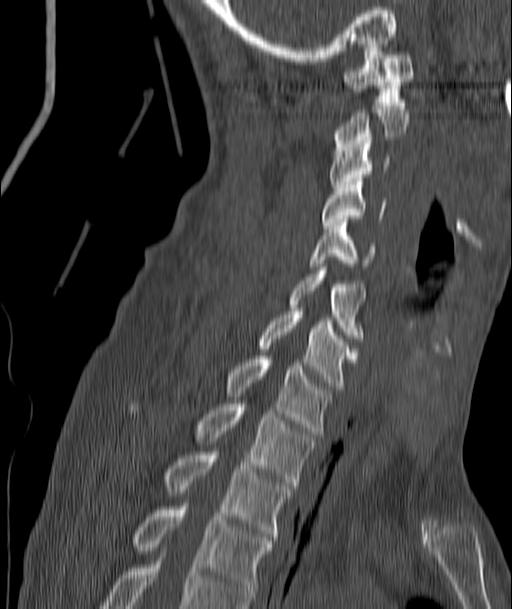
CT; sagittal view; W/L 1800/400 HU
<vertebrae><v name="C1" x1="343" y1="44" x2="413" y2="105"/><v name="C2" x1="335" y1="106" x2="408" y2="150"/><v name="C3" x1="329" y1="144" x2="389" y2="191"/><v name="C4" x1="321" y1="178" x2="386" y2="228"/><v name="C5" x1="310" y1="219" x2="375" y2="266"/><v name="C6" x1="291" y1="267" x2="364" y2="341"/><v name="C7" x1="258" y1="311" x2="356" y2="389"/><v name="T1" x1="228" y1="356" x2="328" y2="437"/><v name="T2" x1="198" y1="404" x2="315" y2="488"/><v name="T3" x1="165" y1="452" x2="290" y2="540"/><v name="T4" x1="132" y1="500" x2="274" y2="598"/></vertebrae>